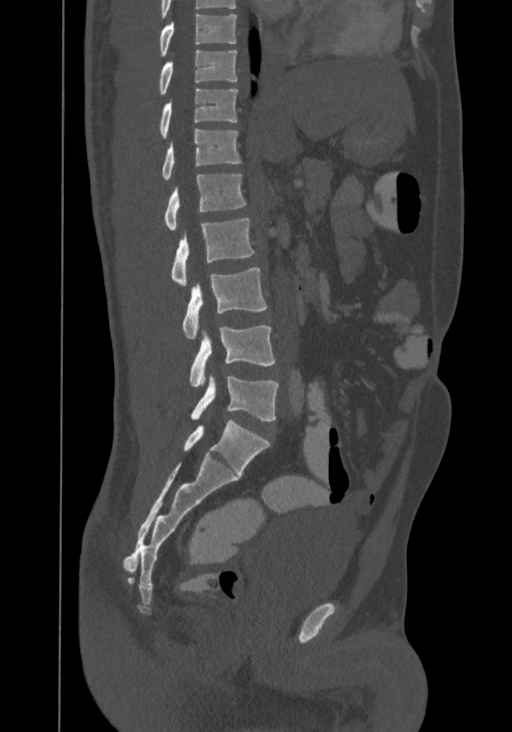

Computed tomography of the spine. sagittal view. W/L 1800/400 HU. 512x732 px. Boxes are given in columns x1, y1, x2, y2, the pixel coordinates of their top-left and bottom-right corners.
The highest labeled vertebra in this scan is T8; the lowest is L4.
| vertebra | x1 | y1 | x2 | y2 |
|---|---|---|---|---|
| T8 | 160 | 14 | 236 | 56 |
| T9 | 159 | 50 | 237 | 94 |
| T10 | 160 | 88 | 237 | 138 |
| T11 | 162 | 128 | 240 | 179 |
| T12 | 164 | 175 | 246 | 230 |
| L1 | 171 | 217 | 254 | 287 |
| L2 | 183 | 267 | 267 | 339 |
| L3 | 190 | 325 | 275 | 387 |
| L4 | 191 | 375 | 278 | 421 |